CT spine — sagittal view — 231 mm image width — 231x462 px — scan covers 8 annotated vertebrae
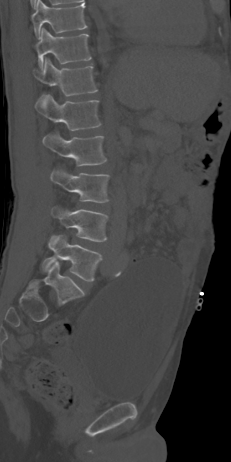

<vertebrae><v name="T10" x1="31" y1="0" x2="86" y2="37"/><v name="T11" x1="35" y1="28" x2="91" y2="68"/><v name="T12" x1="32" y1="58" x2="97" y2="102"/><v name="L1" x1="35" y1="94" x2="100" y2="131"/><v name="L2" x1="43" y1="132" x2="106" y2="166"/><v name="L3" x1="51" y1="168" x2="109" y2="202"/><v name="L4" x1="51" y1="206" x2="108" y2="241"/><v name="L5" x1="42" y1="235" x2="102" y2="281"/></vertebrae>